Spine computed tomography; sagittal plane, index 345; bone-window reconstruction; scan covers 13 annotated vertebrae
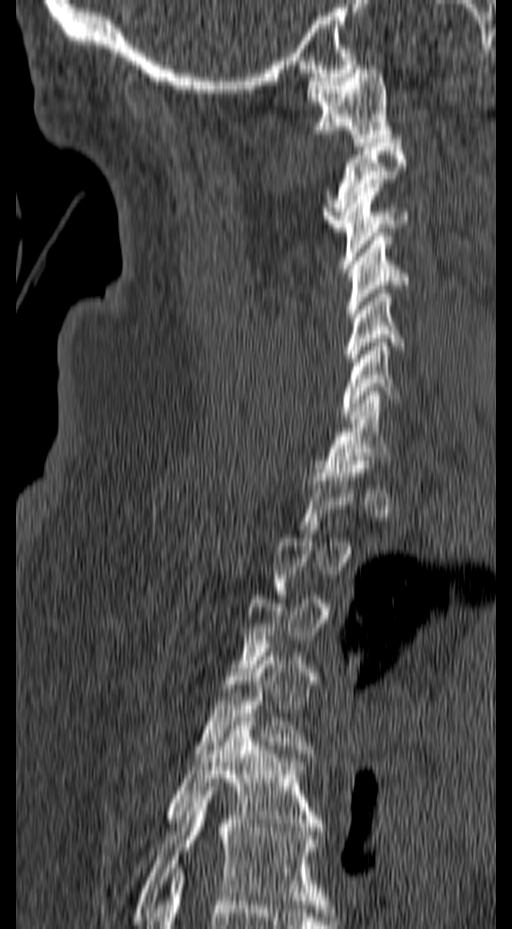
Bounding boxes as [x1, y1, x2, y2] in pixel coordinates.
A vertebra is boxed only from the first to the last slice where its cross-section is at least a third of its largest; slices outside that range leave it without a box.
T6: [132, 787, 330, 920]
T5: [165, 713, 323, 831]
T4: [192, 648, 316, 757]
C7: [322, 391, 391, 472]
C6: [340, 338, 398, 419]
C5: [344, 285, 404, 370]
C4: [345, 232, 409, 317]
C3: [339, 183, 409, 268]
C2: [323, 139, 405, 231]
C1: [307, 65, 393, 142]